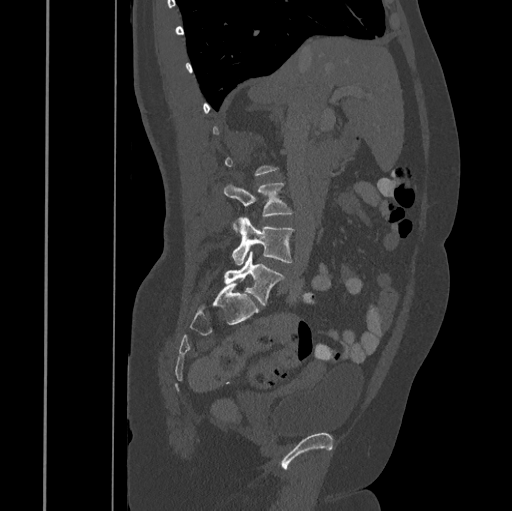
Spine computed tomography · 445 mm across the image · sagittal view · W/L 1800/400 HU · 512x511 px
Boxes below are [x1, y1, x2, y2] in pixels.
Each vertebra is boxed only on the slices from the first to the last where its cross-section reaches a third of its largest, so a slice outside that range leaves it unboxed.
{"vertebrae":{"L3":[224,182,293,230],"L4":[232,217,293,264],"L5":[224,251,287,304]}}